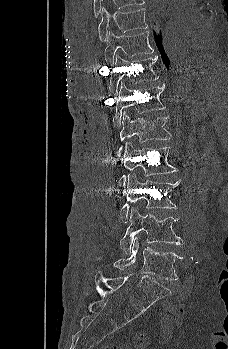 CT, spine. sagittal view. bone-window reconstruction. 228 mm image width

Box edges are left/top/right/bottom in pixels.
Vertebra bounding boxes:
- T9: left=98, top=7, right=148, bottom=41
- T10: left=104, top=31, right=154, bottom=65
- T11: left=108, top=55, right=159, bottom=96
- T12: left=111, top=80, right=165, bottom=128
- L1: left=116, top=111, right=171, bottom=157
- L2: left=118, top=142, right=178, bottom=186
- L3: left=119, top=173, right=180, bottom=222
- L4: left=119, top=207, right=184, bottom=254
- L5: left=113, top=237, right=182, bottom=280